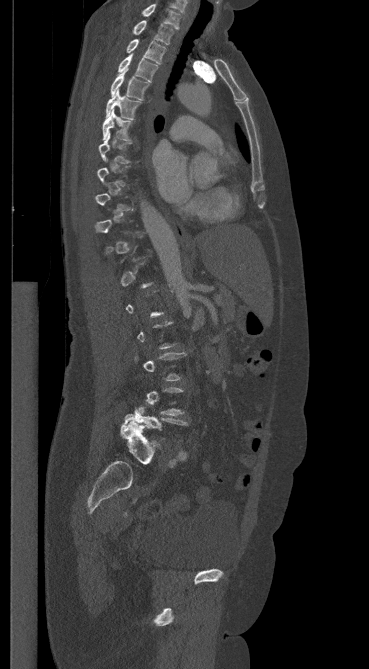
Computed tomography of the spine — image 369 mm wide — sagittal view
Each row gives a vertebra's box as x1, y1, x2, y2 in pixels: top-left corner, then bottom-right corner.
A vertebra gets a box only on the slices from the first to the last where its cross-section is at least a third of its largest; on a slice outside that range it gets none.
| vertebra | x1 | y1 | x2 | y2 |
|---|---|---|---|---|
| L5 | 124 | 400 | 188 | 429 |
| T7 | 98 | 132 | 132 | 163 |
| T6 | 102 | 110 | 131 | 140 |
| T5 | 105 | 89 | 140 | 119 |
| T4 | 110 | 69 | 149 | 100 |
| T3 | 118 | 54 | 158 | 81 |
| T2 | 126 | 39 | 165 | 64 |
| T1 | 132 | 20 | 173 | 44 |
| C7 | 142 | 4 | 180 | 28 |